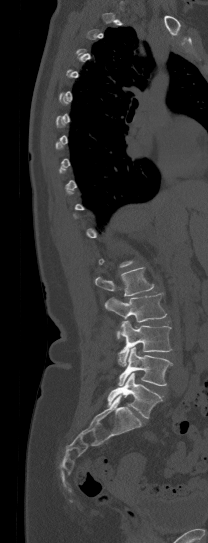

Spine CT — sagittal view — W/L 1800/400 HU
Not every vertebra on this slice has a box: a vertebra is boxed only from the first to the last slice where its cross-section is at least a third of its largest, and this slice is outside that range for at least one of them.
<vertebrae><v name="L1" x1="95" y1="268" x2="153" y2="295"/><v name="L2" x1="105" y1="292" x2="166" y2="338"/><v name="L3" x1="118" y1="320" x2="171" y2="365"/><v name="L4" x1="118" y1="347" x2="172" y2="385"/><v name="L5" x1="107" y1="373" x2="161" y2="418"/></vertebrae>